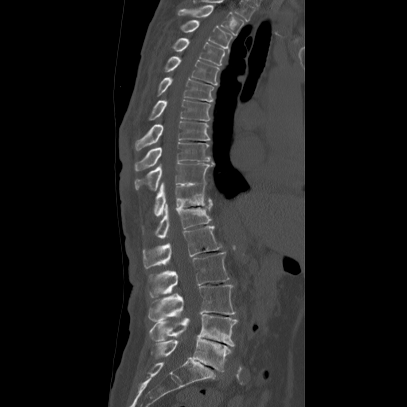
Spine computed tomography. sagittal reformat
Boxes are (x1, y1, x2, y2) in pixels. The labeled vertebrae in this slice are: T2 at (178, 5, 244, 36), T3 at (180, 19, 232, 52), T4 at (172, 37, 224, 65), T5 at (164, 55, 219, 85), T6 at (156, 75, 213, 101), T7 at (148, 97, 210, 121), T8 at (133, 120, 209, 151), T9 at (134, 142, 214, 171), T10 at (133, 162, 214, 190), T11 at (153, 183, 213, 216), T12 at (141, 204, 212, 238), L1 at (142, 226, 221, 268), L2 at (149, 252, 229, 297), L3 at (147, 285, 235, 321), L4 at (148, 314, 237, 346), L5 at (151, 337, 229, 371).